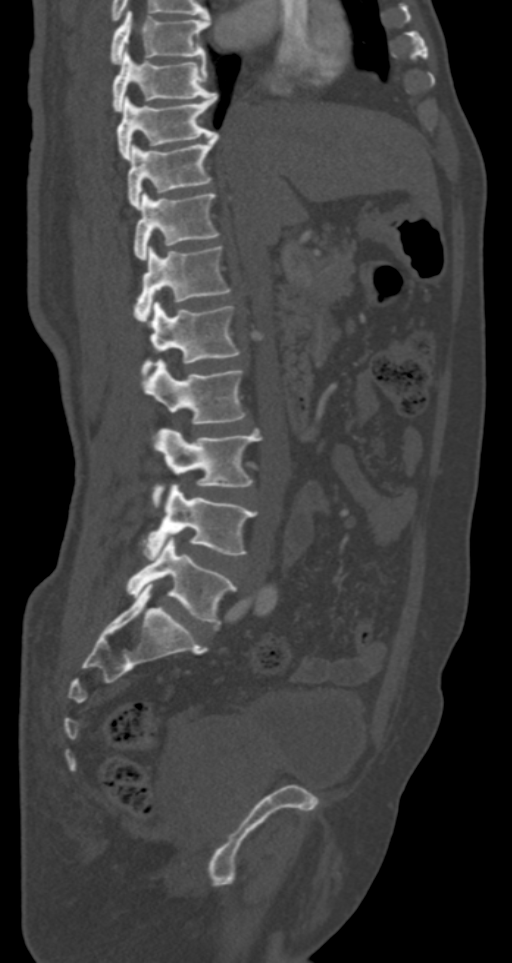

CT, spine; sagittal view; Bone window (WL 400, WW 1800); 512x963 px
<vertebrae><v name="L5" x1="126" y1="537" x2="236" y2="625"/><v name="L4" x1="142" y1="483" x2="257" y2="558"/><v name="L3" x1="153" y1="428" x2="261" y2="507"/><v name="L2" x1="144" y1="360" x2="245" y2="424"/><v name="L1" x1="142" y1="301" x2="239" y2="377"/><v name="T12" x1="133" y1="246" x2="231" y2="324"/><v name="T11" x1="133" y1="192" x2="220" y2="259"/><v name="T10" x1="128" y1="134" x2="218" y2="208"/><v name="T9" x1="117" y1="94" x2="216" y2="159"/><v name="T8" x1="112" y1="51" x2="216" y2="111"/><v name="T7" x1="110" y1="10" x2="209" y2="63"/></vertebrae>